CT, spine — Sagittal slice 199/417
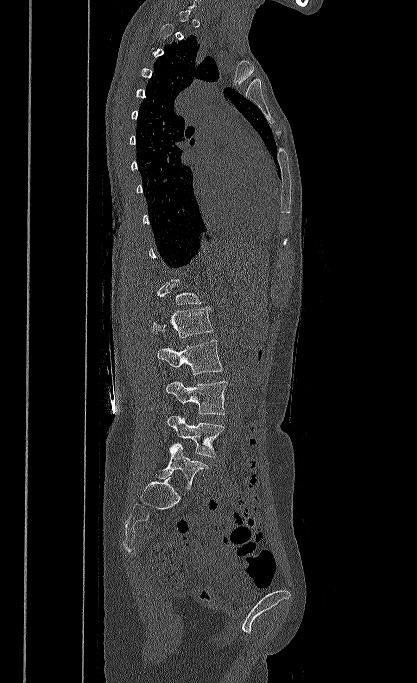
A vertebra is boxed only from the first to the last slice where its cross-section is at least a third of its largest; slices outside that range leave it without a box.
<vertebrae><v name="L5" x1="155" y1="443" x2="208" y2="489"/><v name="L4" x1="167" y1="415" x2="224" y2="457"/><v name="L3" x1="166" y1="381" x2="227" y2="415"/><v name="L2" x1="157" y1="340" x2="223" y2="375"/><v name="L1" x1="152" y1="307" x2="213" y2="337"/></vertebrae>